CT spine. the image spans 140 mm across. sagittal view
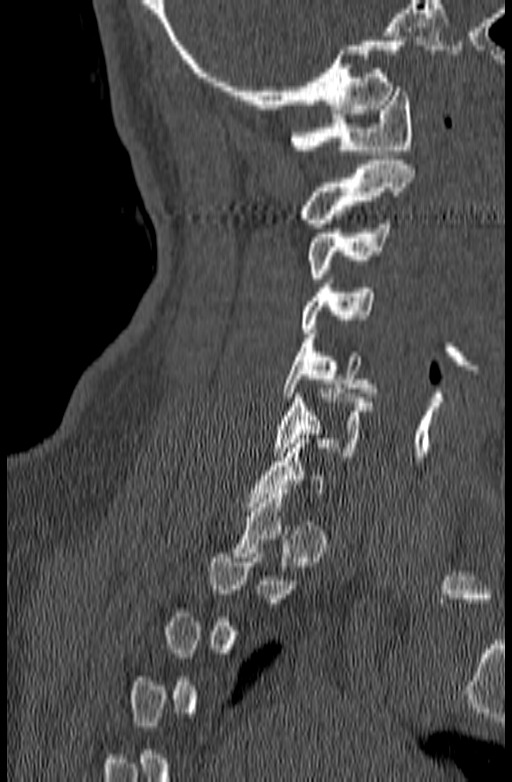

Coordinates as <box>x1,y1,x2,y2</box>.
Not every vertebra on this slice has a box: a vertebra is boxed only from the first to the last slice where its cross-section is at least a third of its largest, and this slice is outside that range for at least one of them.
C1: <box>290,87,414,154</box>
C2: <box>301,160,415,228</box>
C3: <box>308,219,389,278</box>
C4: <box>301,283,374,333</box>
C5: <box>282,334,376,397</box>
C6: <box>274,389,373,456</box>